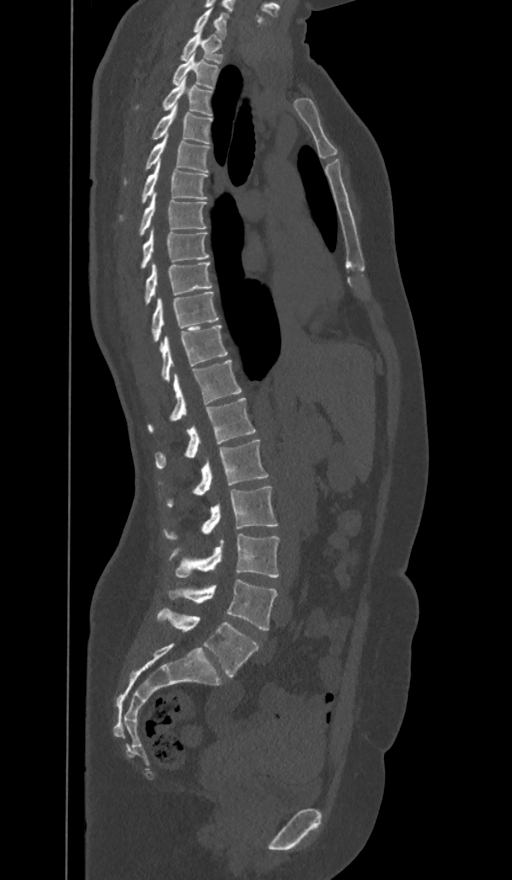

Spine CT — sagittal view — bone window
The labels name a sixth lumbar vertebra for this spine: L6, after L5.
<vertebrae><v name="C7" x1="193" y1="7" x2="227" y2="37"/><v name="T1" x1="181" y1="32" x2="222" y2="63"/><v name="T2" x1="172" y1="54" x2="218" y2="88"/><v name="T3" x1="137" y1="78" x2="211" y2="114"/><v name="T4" x1="152" y1="103" x2="212" y2="143"/><v name="T5" x1="124" y1="136" x2="210" y2="184"/><v name="T6" x1="120" y1="158" x2="207" y2="217"/><v name="T7" x1="139" y1="192" x2="206" y2="236"/><v name="T8" x1="141" y1="229" x2="208" y2="269"/><v name="T9" x1="145" y1="262" x2="211" y2="303"/><v name="T10" x1="152" y1="291" x2="218" y2="340"/><v name="T11" x1="160" y1="325" x2="227" y2="381"/><v name="T12" x1="148" y1="360" x2="241" y2="433"/><v name="L1" x1="156" y1="398" x2="255" y2="468"/><v name="L2" x1="167" y1="439" x2="267" y2="507"/><v name="L3" x1="164" y1="485" x2="278" y2="540"/><v name="L4" x1="171" y1="533" x2="279" y2="578"/><v name="L5" x1="168" y1="580" x2="277" y2="630"/><v name="L6" x1="157" y1="609" x2="258" y2="677"/></vertebrae>